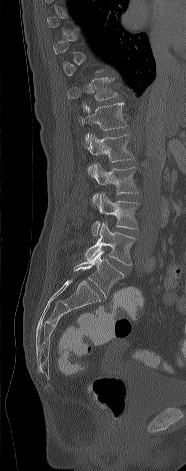

CT; sagittal view; image width 186 mm
Boxes: x1:y1:x2:y2 in pixels.
A vertebra is boxed only from the first to the last slice where its cross-section is at least a third of its largest; slices outside that range leave it without a box.
T11: 67:77:117:111
T12: 77:101:126:146
L1: 88:134:134:176
L2: 92:164:138:206
L3: 91:193:138:235
L4: 84:222:135:265
L5: 73:249:124:297